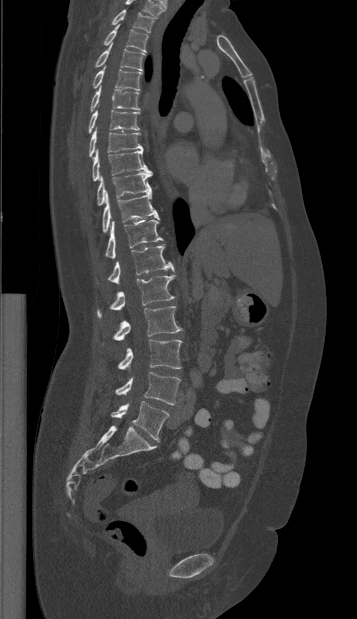 CT spine. sagittal view. Bone window (WL 400, WW 1800)

Bounding boxes as [x1, y1, x2, y2] in pixel coordinates.
Labels in this scan begin with T1 at the top and end with L5 at the bottom.
T1: [111, 10, 156, 32]
T2: [103, 24, 148, 52]
T3: [94, 43, 144, 70]
T4: [92, 65, 141, 91]
T5: [90, 86, 139, 112]
T6: [88, 110, 139, 133]
T7: [89, 127, 142, 157]
T8: [92, 149, 151, 181]
T9: [97, 173, 152, 205]
T10: [102, 191, 159, 233]
T11: [105, 220, 162, 258]
T12: [108, 245, 174, 283]
L1: [97, 275, 175, 318]
L2: [102, 306, 181, 345]
L3: [118, 339, 182, 369]
L4: [115, 372, 180, 404]
L5: [111, 401, 169, 440]